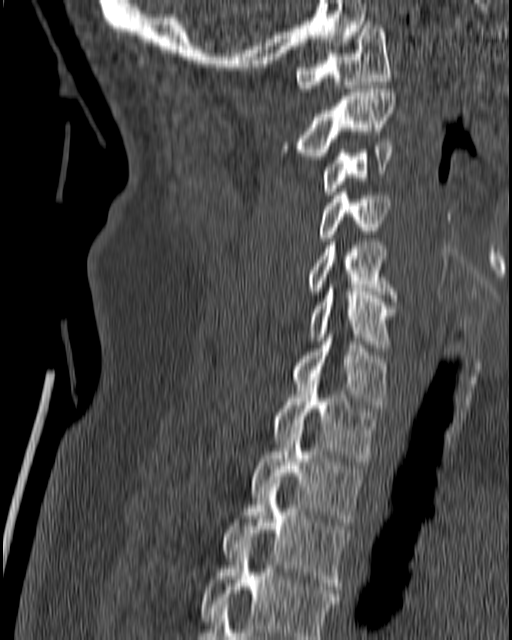 Spine CT — sagittal view — the image spans 180 mm across
Boxes are (x1, y1, x2, y2) in pixels.
Vertebra bounding boxes:
- T4: (200, 544, 339, 639)
- T3: (223, 480, 350, 589)
- T2: (251, 430, 361, 525)
- T1: (274, 384, 375, 461)
- C7: (291, 334, 387, 408)
- C6: (308, 284, 395, 347)
- C5: (308, 242, 396, 301)
- C4: (319, 188, 390, 241)
- C3: (322, 142, 392, 195)
- C2: (278, 89, 396, 159)
- C1: (295, 21, 390, 91)